Spine CT; image width 459 mm; sagittal reformat; bone window; 459x459 px
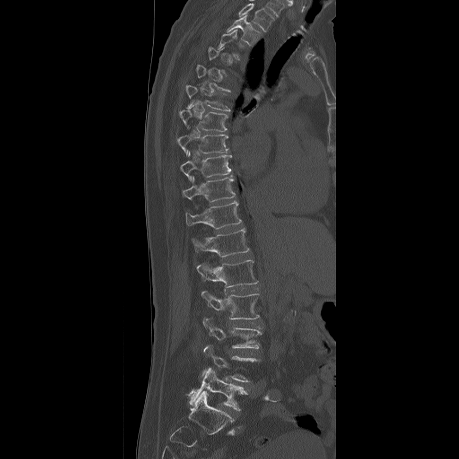
In the table, x1 and y1 are a box's top-left corner and x2 and y2 its bottom-right corner, in pixels.
A vertebra gets a box only on the slices from the first to the last where its cross-section is at least a third of its largest; on a slice outside that range it gets none.
This scan's labels start at T2 at the top and end at L5 at the bottom.
| vertebra | x1 | y1 | x2 | y2 |
|---|---|---|---|---|
| L5 | 185 | 367 | 248 | 410 |
| L4 | 200 | 344 | 261 | 382 |
| L3 | 202 | 316 | 261 | 348 |
| L2 | 200 | 289 | 259 | 319 |
| L1 | 196 | 260 | 258 | 287 |
| T12 | 190 | 229 | 249 | 257 |
| T11 | 185 | 202 | 241 | 228 |
| T10 | 182 | 177 | 234 | 200 |
| T9 | 180 | 152 | 231 | 181 |
| T8 | 177 | 134 | 227 | 153 |
| T7 | 179 | 104 | 228 | 131 |
| T6 | 185 | 85 | 230 | 111 |
| T3 | 218 | 30 | 244 | 59 |
| T2 | 226 | 16 | 262 | 45 |